Spine CT. Sagittal slice 88/199
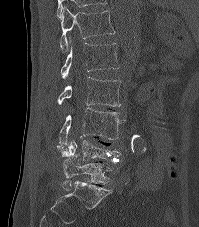

Box edges are left/top/right/bottom in pixels.
Vertebra bounding boxes:
- L5: left=61, top=155, right=113, bottom=190
- L4: left=61, top=139, right=121, bottom=163
- L3: left=57, top=107, right=123, bottom=150
- L2: left=58, top=77, right=120, bottom=106
- L1: left=61, top=43, right=118, bottom=79
- T12: left=59, top=7, right=114, bottom=52